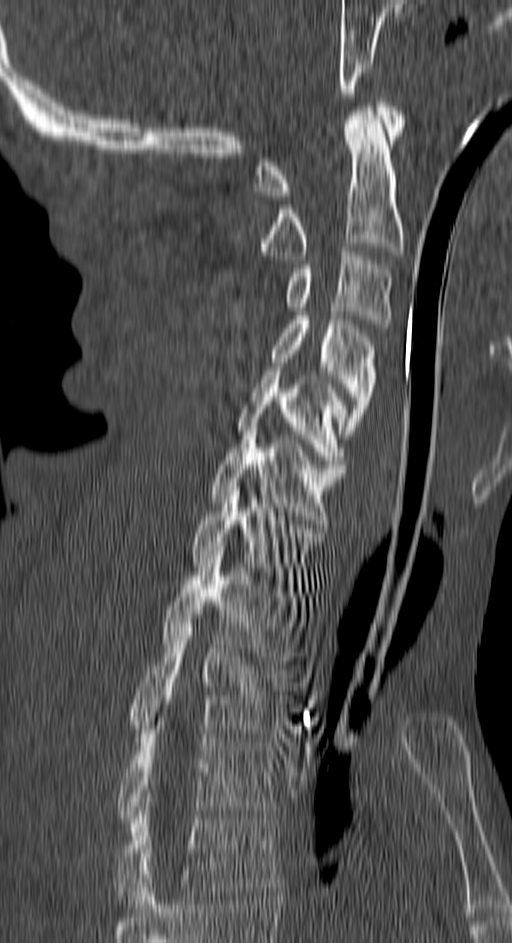

CT — sagittal reformat — 512x943 px
In the table, x1 and y1 are a box's top-left corner and x2 and y2 its bottom-right corner, in pixels.
| vertebra | x1 | y1 | x2 | y2 |
|---|---|---|---|---|
| C1 | 254 | 102 | 403 | 200 |
| C2 | 257 | 107 | 403 | 259 |
| C3 | 285 | 247 | 393 | 328 |
| C4 | 271 | 316 | 376 | 438 |
| C5 | 237 | 371 | 347 | 468 |
| C6 | 209 | 427 | 345 | 524 |
| C7 | 192 | 486 | 324 | 588 |
| T1 | 162 | 555 | 301 | 660 |
| T2 | 131 | 627 | 287 | 733 |
| T3 | 117 | 725 | 280 | 827 |
| T4 | 117 | 806 | 280 | 908 |